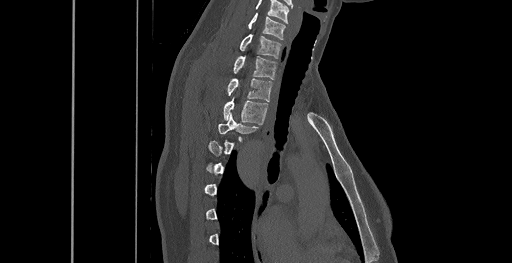

Computed tomography of the spine; 461 mm image width; sagittal view; bone-window reconstruction; 512x263 px

Each row gives a vertebra's box as x1, y1, x2, y2 in pixels: top-left corner, then bottom-right corner.
A vertebra is boxed only from the first to the last slice where its cross-section is at least a third of its largest; slices outside that range leave it without a box.
In this scan, the topmost labeled vertebra is C6 and the lowest is T8.
| vertebra | x1 | y1 | x2 | y2 |
|---|---|---|---|---|
| T4 | 218 | 114 | 259 | 134 |
| T3 | 223 | 100 | 268 | 123 |
| T2 | 227 | 79 | 272 | 101 |
| T1 | 232 | 56 | 276 | 79 |
| C7 | 239 | 34 | 281 | 58 |
| C6 | 248 | 13 | 285 | 39 |